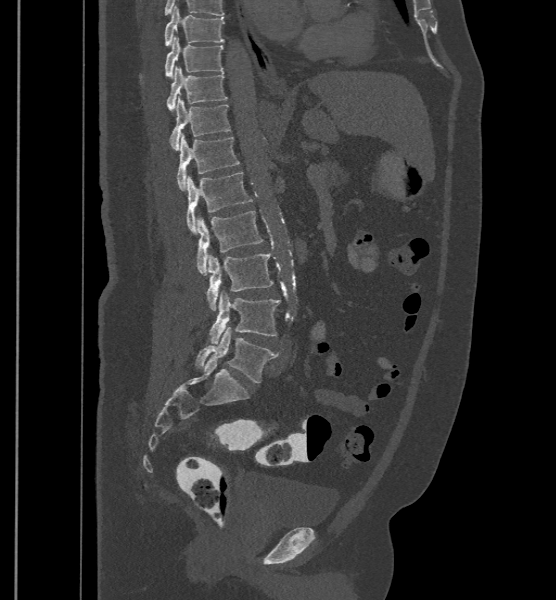 CT spine · sagittal view
Coordinates as <box>x1,y1,x2,y2</box>.
In these labels the spine has an L6, a sixth lumbar vertebra below L5.
Vertebra bounding boxes:
- T9: <box>165,6,225,46</box>
- T10: <box>165,37,224,78</box>
- T11: <box>167,67,227,111</box>
- T12: <box>170,96,230,150</box>
- L1: <box>177,133,239,190</box>
- L2: <box>187,172,252,234</box>
- L3: <box>196,211,264,274</box>
- L4: <box>206,253,274,310</box>
- L5: <box>208,291,280,343</box>
- L6: <box>195,327,278,382</box>